CT spine; Sagittal slice 210/512; 512x548 px
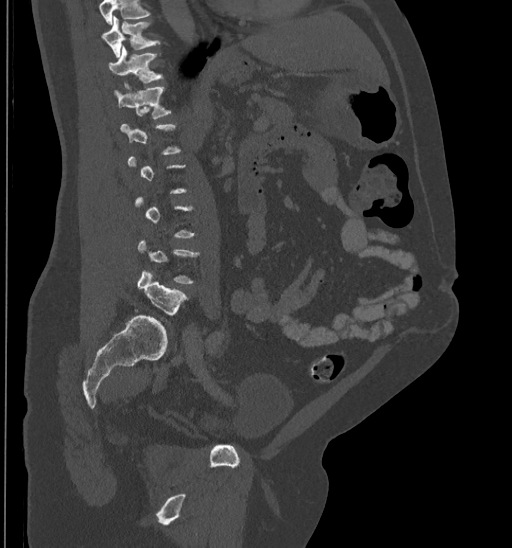
Coordinates as <box>x1,y1,x2,y2</box>.
A vertebra is boxed only from the first to the last slice where its cross-section is at least a third of its largest; slices outside that range leave it without a box.
Where the top of the scan cuts through a vertebra, that vertebra gets no label or box.
Vertebra bounding boxes:
- L5: <box>138,271,186,316</box>
- T12: <box>114,84,171,119</box>
- T11: <box>108,46,163,82</box>
- T10: <box>101,16,159,57</box>